CT, spine — sagittal reformat — 220x220 px — 5 vertebrae labeled in this scan
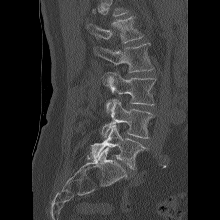

Each box given as x1,y1,x2,y2. Vertebrae that run past the top of the scan are left unlabeled. Vertebrae labeled: L1 at x1=87, y1=16, x2=143, y2=43, L2 at x1=94, y1=43, x2=154, y2=72, L3 at x1=101, y1=72, x2=156, y2=113, L4 at x1=100, y1=99, x2=154, y2=138, L5 at x1=91, y1=125, x2=147, y2=169.